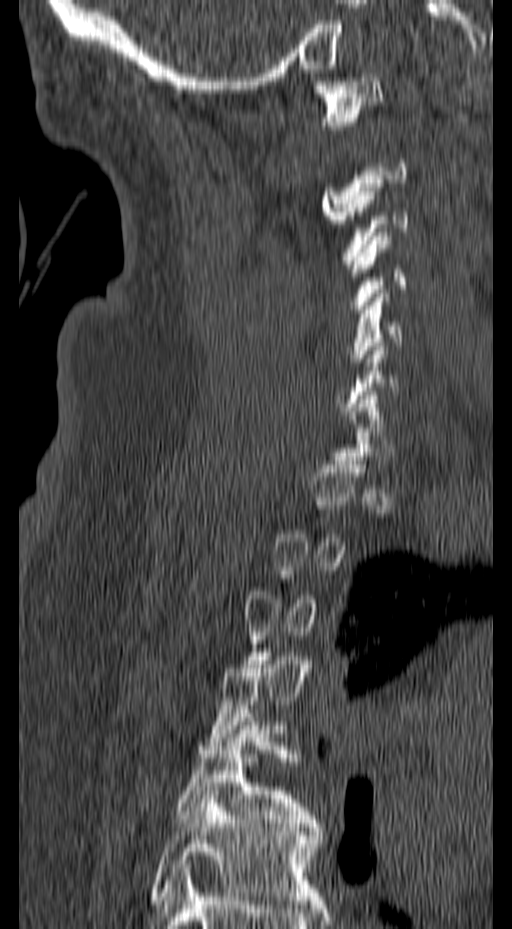 Computed tomography of the spine · the image spans 157 mm across · sagittal view
Coordinates as <box>x1,y1,x2,y2</box>. A vertebra is boxed only from the first to the last slice where its cross-section is at least a third of its largest; slices outside that range leave it without a box. 6 vertebrae labeled — C1 at <box>314,73,383,138</box>; C3 at <box>343,183,408,268</box>; C4 at <box>347,232,407,309</box>; C5 at <box>349,289,403,370</box>; T5 at <box>177,713,321,827</box>; T6 at <box>149,787,323,904</box>.